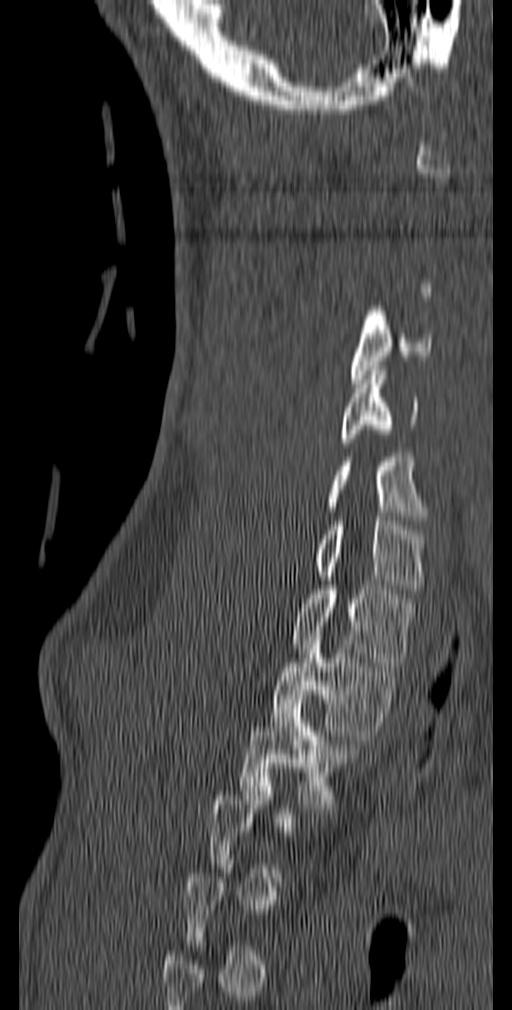
Computed tomography of the spine · sagittal view · the image is 140 mm wide · 512x1010 px
Boxes below are [x1, y1, x2, y2] in pixels.
Not every vertebra on this slice has a box: a vertebra is boxed only from the first to the last slice where its cross-section is at least a third of its largest, and this slice is outside that range for at least one of them.
{"vertebrae":{"C4":[351,306,432,383],"C5":[340,366,418,447],"C6":[324,453,425,525],"C7":[316,521,425,593],"T1":[291,585,415,666],"T2":[270,645,401,740],"T3":[238,695,359,808]}}